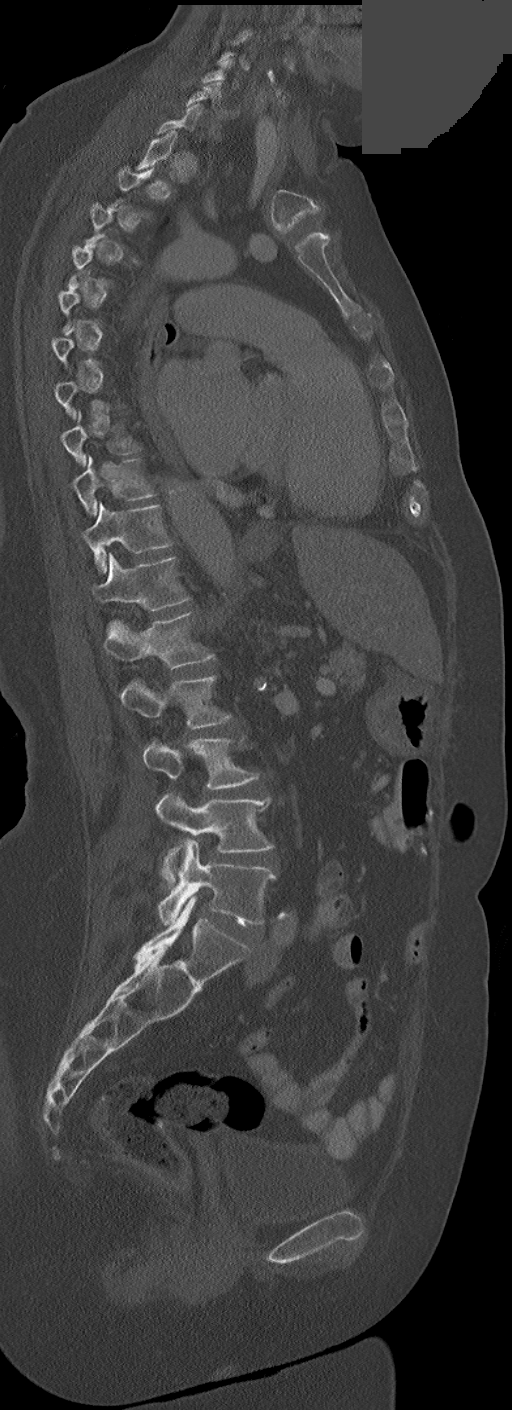
Spine computed tomography; the image is 252 mm wide; sagittal view; W/L 1800/400 HU; 512x1410 px; a uniform gray block covers part of the image
Boxes: x1:y1:x2:y2 in pixels.
Not every vertebra on this slice has a box: a vertebra is boxed only from the first to the last slice where its cross-section is at least a third of its largest, and this slice is outside that range for at least one of them.
These labels give this spine no T12: after T11 the next vertebra is L1.
C6: 185:82:225:117
T8: 61:411:140:466
T9: 72:455:154:516
T10: 84:504:172:572
T11: 92:555:188:611
L1: 104:612:213:668
L2: 120:675:231:729
L3: 143:738:258:790
L4: 155:793:274:885
L5: 157:840:276:924